Spine CT; Sagittal slice 57/119; 512x1229 px
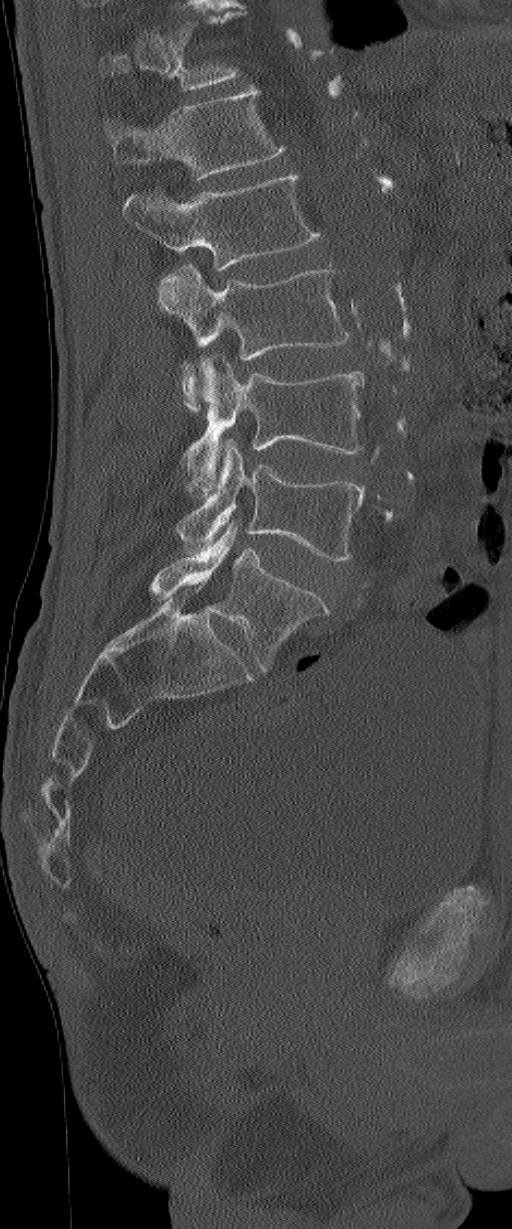 Each vertebra maps to its box as [x1, y1, x2, y2], the pixel coordinates of its top-left and bottom-right corners.
This scan's labels start at L1 at the top and end at L6 at the bottom.
In these labels the spine has an L6, a sixth lumbar vertebra below L5.
{"vertebrae":{"L1":[103,87,286,181],"L2":[122,174,320,270],"L3":[158,263,349,409],"L4":[185,355,365,494],"L5":[177,439,365,562],"L6":[150,521,331,669]}}